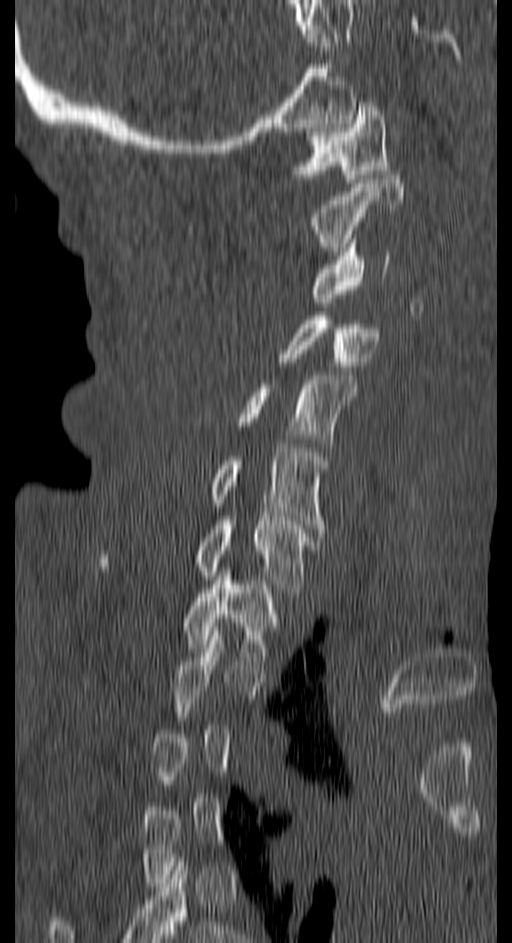

CT; 150 mm image width; sagittal view; bone-window reconstruction

Boxes are (x1, y1, x2, y2) in pixels.
Each vertebra is boxed only on the slices from the first to the last where its cross-section reaches a third of its largest, so a slice outside that range leaves it unboxed.
Vertebra bounding boxes:
- C1: (295, 98, 389, 182)
- C2: (308, 175, 403, 251)
- C3: (312, 239, 391, 302)
- C4: (280, 316, 379, 370)
- C5: (237, 375, 358, 447)
- C6: (209, 448, 328, 532)
- C7: (100, 516, 318, 592)
- T1: (182, 572, 277, 660)